CT spine; sagittal plane, index 53; Bone window (WL 400, WW 1800)
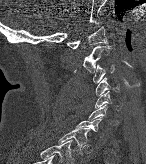
Labels in this scan begin with C1 at the top and end with T1 at the bottom.
<vertebrae><v name="T1" x1="58" y1="127" x2="90" y2="151"/><v name="C7" x1="73" y1="117" x2="103" y2="137"/><v name="C6" x1="88" y1="104" x2="116" y2="124"/><v name="C5" x1="95" y1="91" x2="121" y2="109"/><v name="C4" x1="95" y1="77" x2="118" y2="96"/><v name="C3" x1="92" y1="65" x2="114" y2="83"/><v name="C2" x1="74" y1="44" x2="110" y2="72"/><v name="C1" x1="67" y1="26" x2="107" y2="48"/></vertebrae>